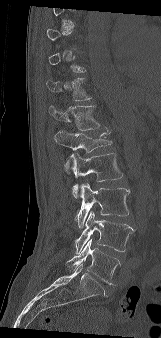
Spine computed tomography; sagittal reformat; Bone window (WL 400, WW 1800). Boxes: x1:y1:x2:y2 in pixels. Not every vertebra on this slice has a box: a vertebra is boxed only from the first to the last slice where its cross-section is at least a third of its largest, and this slice is outside that range for at least one of them. The labeled vertebrae in this slice are: T11 at 46:78:91:101, T12 at 49:105:100:130, L1 at 55:130:112:173, L2 at 66:152:123:198, L3 at 74:183:129:228, L4 at 75:211:137:254, L5 at 66:239:120:284.